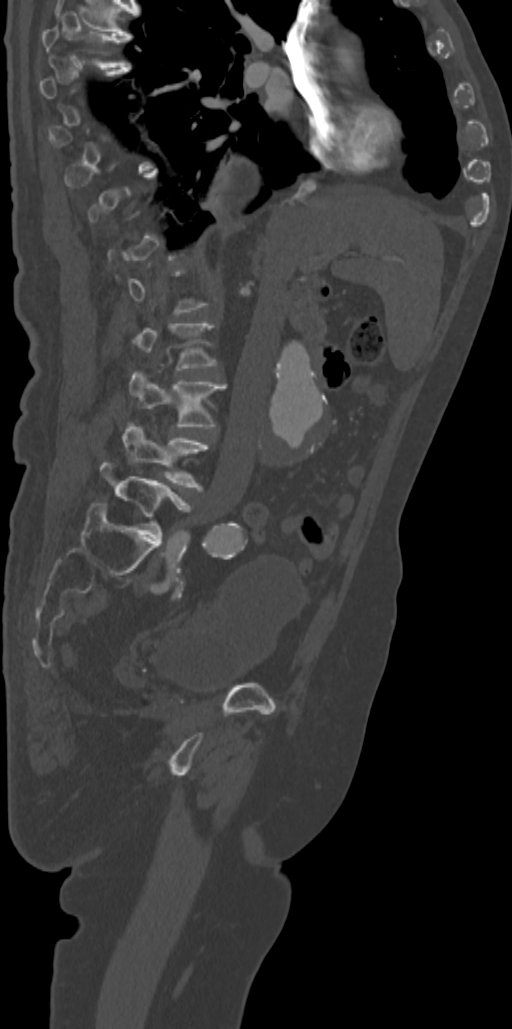
Spine CT · 342 mm across the image · sagittal view
Box values are [left, top, right, bottom] in pixels.
Each vertebra is boxed only on the slices from the first to the last where its cross-section reaches a third of its largest, so a slice outside that range leaves it unboxed.
{"vertebrae":{"T7":[42,13,132,66],"L2":[127,321,217,370],"L3":[129,368,226,426],"L4":[123,422,208,489],"L5":[100,463,190,538]}}